Spine CT; sagittal view; bone window; 795x993 px; scan covers 9 annotated vertebrae
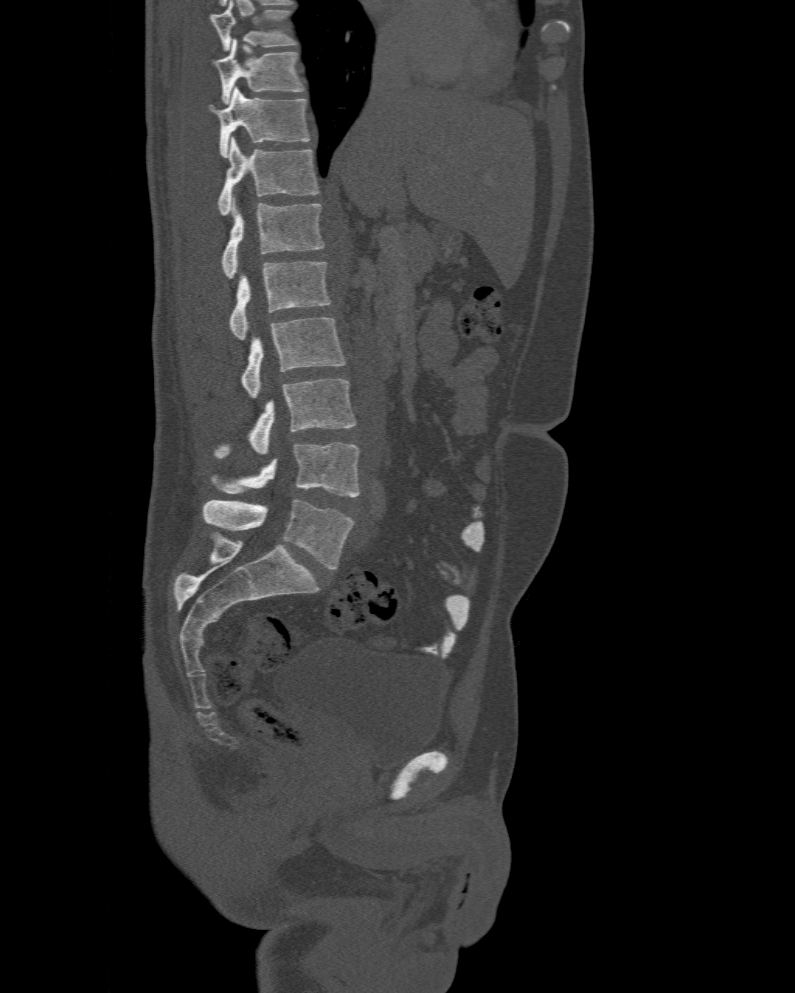
In this scan, the topmost labeled vertebra is T10 and the lowest is L6.
In these labels the spine has an L6, a sixth lumbar vertebra below L5.
<vertebrae><v name="L6" x1="203" y1="500" x2="353" y2="569"/><v name="L5" x1="211" y1="442" x2="359" y2="497"/><v name="L4" x1="214" y1="378" x2="356" y2="457"/><v name="L3" x1="242" y1="317" x2="345" y2="397"/><v name="L2" x1="230" y1="262" x2="331" y2="339"/><v name="L1" x1="220" y1="196" x2="324" y2="279"/><v name="T12" x1="217" y1="137" x2="319" y2="216"/><v name="T11" x1="208" y1="87" x2="310" y2="157"/><v name="T10" x1="213" y1="38" x2="303" y2="104"/></vertebrae>